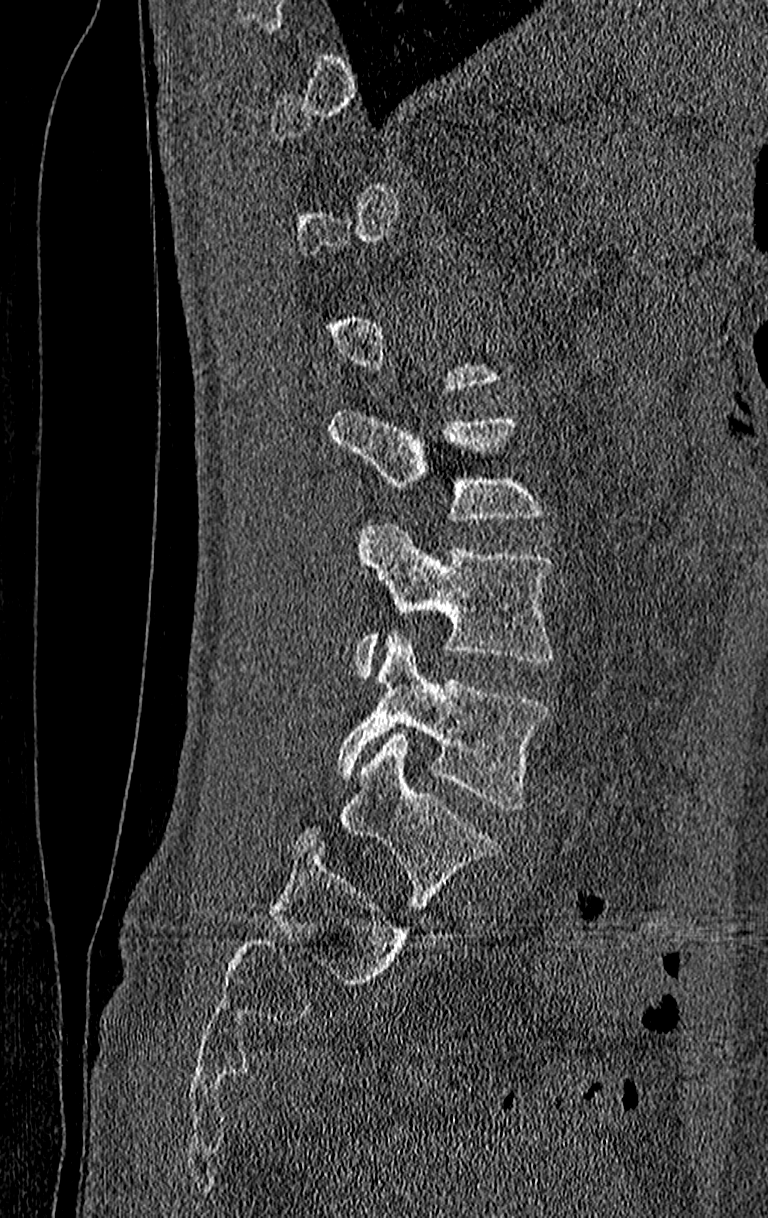

Spine computed tomography — the image is 210 mm wide — sagittal view

In the table, x1 and y1 are a box's top-left corner and x2 and y2 its bottom-right corner, in pixels.
A vertebra gets a box only on the slices from the first to the last where its cross-section is at least a third of its largest; on a slice outside that range it gets none.
The highest labeled vertebra in this scan is T11; the lowest is L4.
| vertebra | x1 | y1 | x2 | y2 |
|---|---|---|---|---|
| L2 | 328 | 406 | 546 | 522 |
| L3 | 353 | 523 | 554 | 680 |
| L4 | 335 | 630 | 550 | 809 |